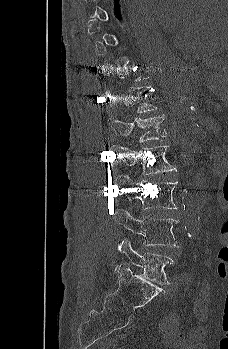
Spine computed tomography — sagittal view
Each box given as x1,y1,x2,y2.
A vertebra gets a box only on the slices from the first to the last where its cross-section is at least a third of its largest; on a slice outside that range it gets none.
Vertebra bounding boxes:
- T12: x1=107, y1=86, x2=156, y2=112
- L1: x1=107, y1=113, x2=166, y2=142
- L2: x1=109, y1=145, x2=176, y2=175
- L3: x1=113, y1=175, x2=177, y2=209
- L4: x1=112, y1=209, x2=182, y2=247
- L5: x1=118, y1=238, x2=175, y2=284